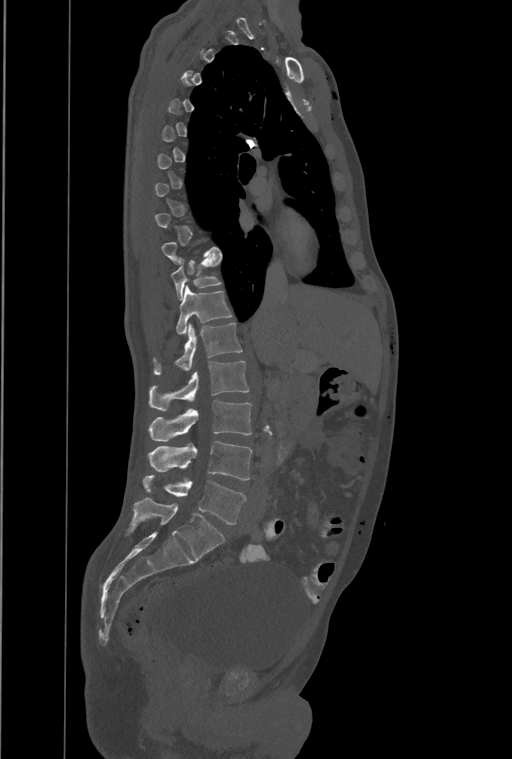 Computed tomography of the spine — sagittal view — W/L 1800/400 HU
Coordinates as <box>x1,y1,x2,y2</box>. A vertebra gets a box only on the slices from the first to the last where its cross-section is at least a third of its largest; on a slice outside that range it gets none. Labels in this scan begin with T1 at the top and end with L4 at the bottom. The labels name an extra thoracic vertebra here, T13, which comes after T12 and before L1. The labeled vertebrae in this slice are: L4 at <box>143,475,245,524</box>, L3 at <box>148,441,252,480</box>, L2 at <box>148,400,252,441</box>, L1 at <box>150,361,248,410</box>, T13 at <box>154,322,242,375</box>, T12 at <box>176,286,232,335</box>, T11 at <box>171,259,221,299</box>.